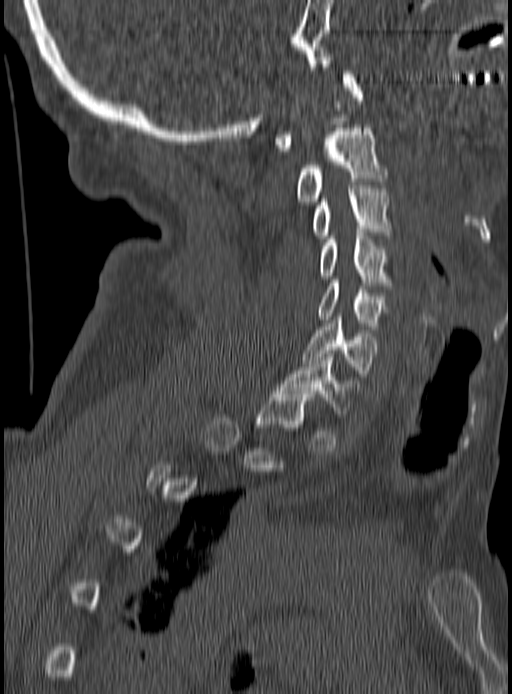
CT spine. sagittal view. the image spans 190 mm across. W/L 1800/400 HU. 512x694 px
Not every vertebra on this slice has a box: a vertebra is boxed only from the first to the last slice where its cross-section is at least a third of its largest, and this slice is outside that range for at least one of them.
<vertebrae><v name="C1" x1="274" y1="71" x2="364" y2="151"/><v name="C2" x1="295" y1="125" x2="388" y2="204"/><v name="C3" x1="311" y1="189" x2="393" y2="238"/><v name="C4" x1="319" y1="232" x2="393" y2="289"/><v name="C5" x1="319" y1="280" x2="385" y2="332"/><v name="C6" x1="303" y1="317" x2="377" y2="376"/><v name="C7" x1="278" y1="354" x2="359" y2="417"/></vertebrae>